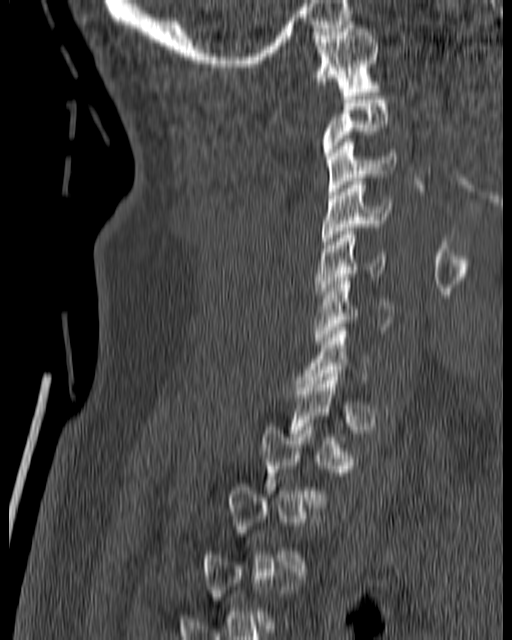
Spine CT · sagittal view · the image is 180 mm wide
Coordinates as <box>x1,y1,x2,y2</box>.
Not every vertebra on this slice has a box: a vertebra is boxed only from the first to the last slice where its cross-section is at least a third of its largest, and this slice is outside that range for at least one of them.
C1: <box>310,21,382,95</box>
C3: <box>326,139,395,195</box>
C4: <box>322,178,392,248</box>
C5: <box>314,231,387,294</box>
C6: <box>314,277,394,344</box>